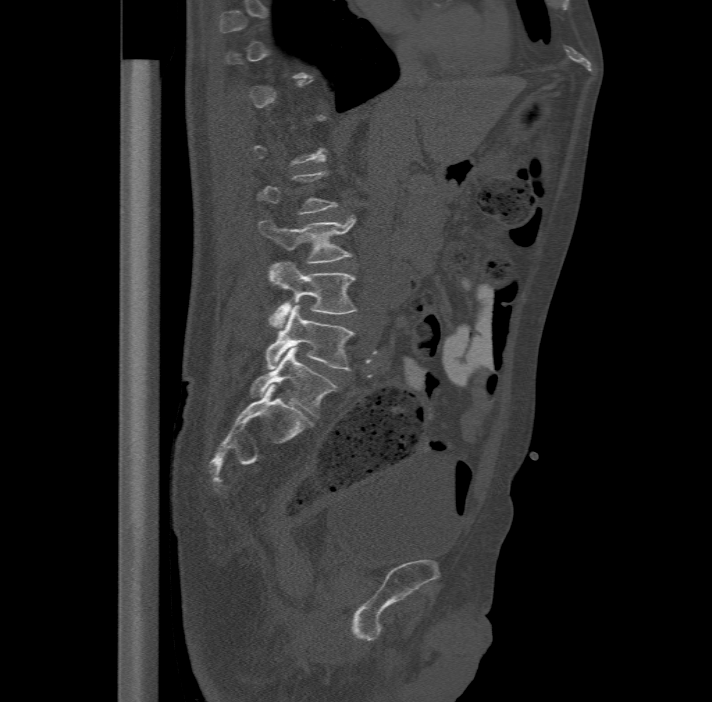
CT spine. sagittal view. bone window. 712x702 px

A vertebra is boxed only from the first to the last slice where its cross-section is at least a third of its largest; slices outside that range leave it without a box.
In these labels the spine has an L6, a sixth lumbar vertebra below L5.
<vertebrae><v name="L6" x1="250" y1="347" x2="337" y2="418"/><v name="L5" x1="266" y1="305" x2="354" y2="370"/><v name="L4" x1="268" y1="261" x2="358" y2="327"/><v name="L3" x1="259" y1="215" x2="355" y2="261"/></vertebrae>